CT. sagittal view
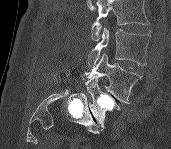
Coordinates as <box>x1,y1,x2,y2</box>. Vertebrae that run past the top of the scan are left unlabeled. The labeled vertebrae in this slice are: L3 at <box>88,26,150,67</box>, L4 at <box>79,53,143,104</box>, L5 at <box>85,76,120,130</box>.